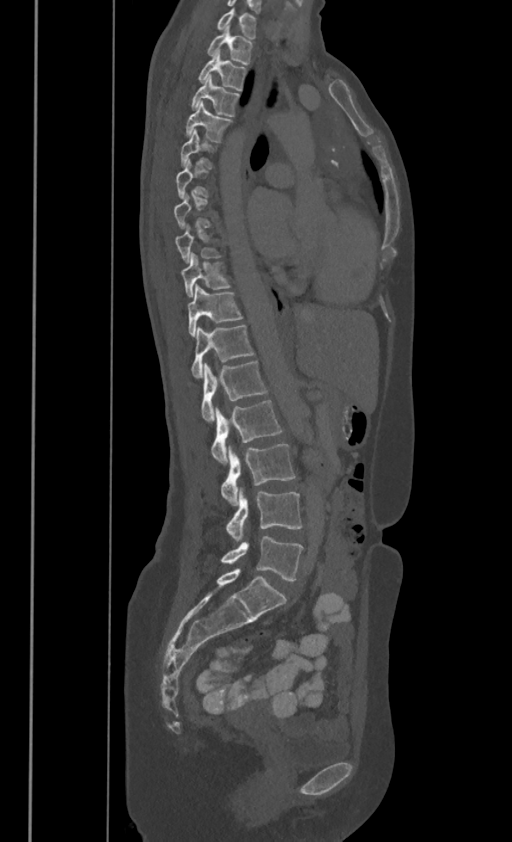 Computed tomography of the spine — sagittal view — W/L 1800/400 HU. In the table, x1 and y1 are a box's top-left corner and x2 and y2 its bottom-right corner, in pixels.
Each vertebra is boxed only on the slices from the first to the last where its cross-section reaches a third of its largest, so a slice outside that range leaves it unboxed.
In these labels the spine has no T12: the thoracic vertebrae end at T11, and L1 comes next.
| vertebra | x1 | y1 | x2 | y2 |
|---|---|---|---|---|
| C7 | 217 | 6 | 255 | 37 |
| T1 | 208 | 25 | 252 | 63 |
| T2 | 199 | 49 | 246 | 89 |
| T3 | 191 | 74 | 239 | 115 |
| T4 | 186 | 100 | 231 | 141 |
| T9 | 180 | 252 | 230 | 296 |
| T10 | 187 | 283 | 242 | 334 |
| T11 | 191 | 325 | 254 | 376 |
| L1 | 201 | 361 | 265 | 422 |
| L2 | 211 | 399 | 281 | 465 |
| L3 | 221 | 444 | 295 | 505 |
| L4 | 227 | 487 | 301 | 541 |
| L5 | 221 | 537 | 303 | 580 |